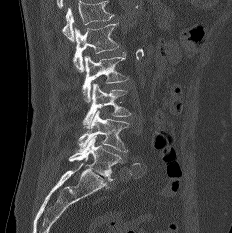
Spine CT. sagittal view. 232x233 px
Box values are [left, top, right, bottom] in pixels.
Where the top of the scan cuts through a vertebra, that vertebra gets no label or box.
{"vertebrae":{"L1":[73,22,119,72],"L2":[82,52,128,101],"L3":[82,83,130,131],"L4":[77,110,129,153],"L5":[69,135,122,181]}}